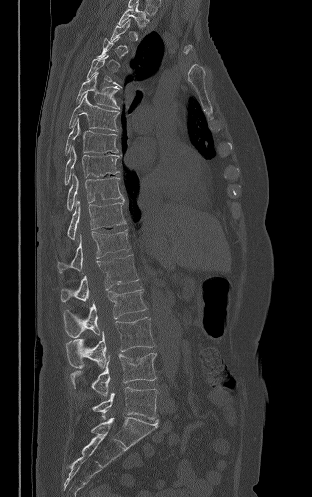

Computed tomography of the spine; sagittal view
Each vertebra maps to its box as [x1, y1, x2, y2], the pixel coordinates of its top-left and bottom-right corners.
A vertebra is boxed only from the first to the last slice where its cross-section is at least a third of its largest; slices outside that range leave it without a box.
{"vertebrae":{"T2":[118,3,149,30],"T6":[76,72,119,109],"T7":[69,91,119,131],"T8":[65,118,118,155],"T9":[64,146,119,185],"T10":[67,173,123,210],"T11":[67,199,126,240],"T12":[58,229,130,272],"L1":[61,254,139,302],"L2":[63,289,147,337],"L3":[66,317,154,368],"L4":[70,353,156,396],"L5":[92,387,157,420]}}